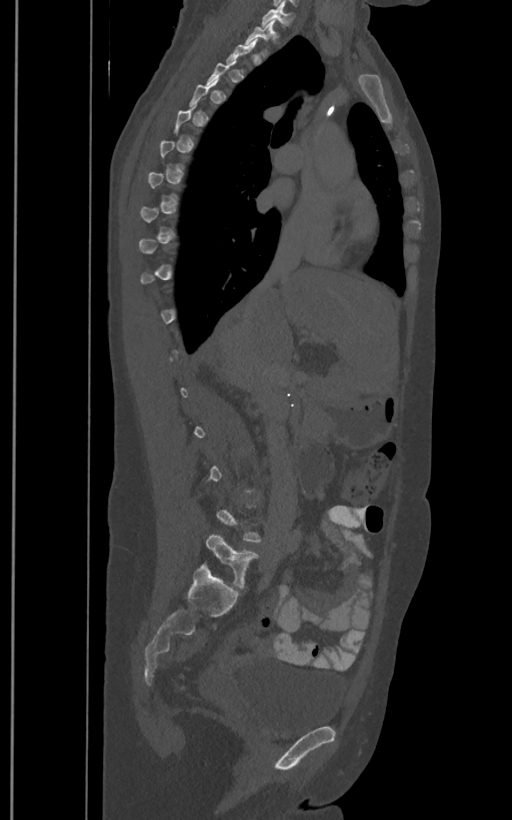 Spine computed tomography · sagittal reformat · Bone window (WL 400, WW 1800). Boxes are (x1, y1, x2, y2) in pixels.
Each vertebra is boxed only on the slices from the first to the last where its cross-section reaches a third of its largest, so a slice outside that range leaves it unboxed.
These labels give the spine a sixth lumbar vertebra, L6, below L5.
Vertebra bounding boxes:
- L6: (206, 533, 260, 588)
- T2: (244, 18, 277, 57)
- T1: (261, 6, 293, 28)